CT; sagittal view; bone-window reconstruction; 512x850 px; scan covers 19 annotated vertebrae
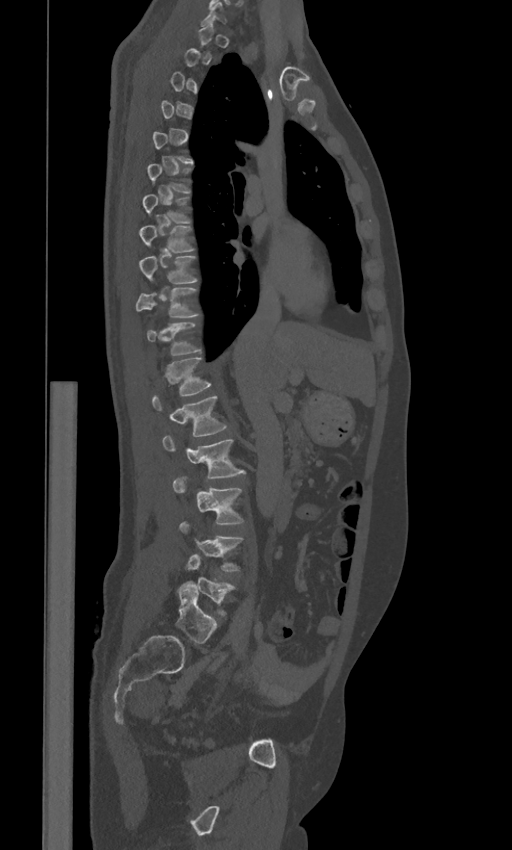 A vertebra gets a box only on the slices from the first to the last where its cross-section is at least a third of its largest; on a slice outside that range it gets none.
These labels give the spine a sixth lumbar vertebra, L6, below L5.
<vertebrae><v name="L6" x1="175" y1="580" x2="216" y2="643"/><v name="L5" x1="186" y1="554" x2="234" y2="614"/><v name="L4" x1="179" y1="520" x2="243" y2="571"/><v name="L3" x1="172" y1="476" x2="244" y2="524"/><v name="L2" x1="163" y1="435" x2="245" y2="477"/><v name="L1" x1="152" y1="395" x2="227" y2="436"/><v name="T12" x1="164" y1="358" x2="212" y2="395"/><v name="T11" x1="147" y1="321" x2="201" y2="356"/><v name="T10" x1="135" y1="287" x2="200" y2="317"/><v name="T9" x1="139" y1="256" x2="198" y2="284"/><v name="T8" x1="140" y1="226" x2="194" y2="253"/></vertebrae>